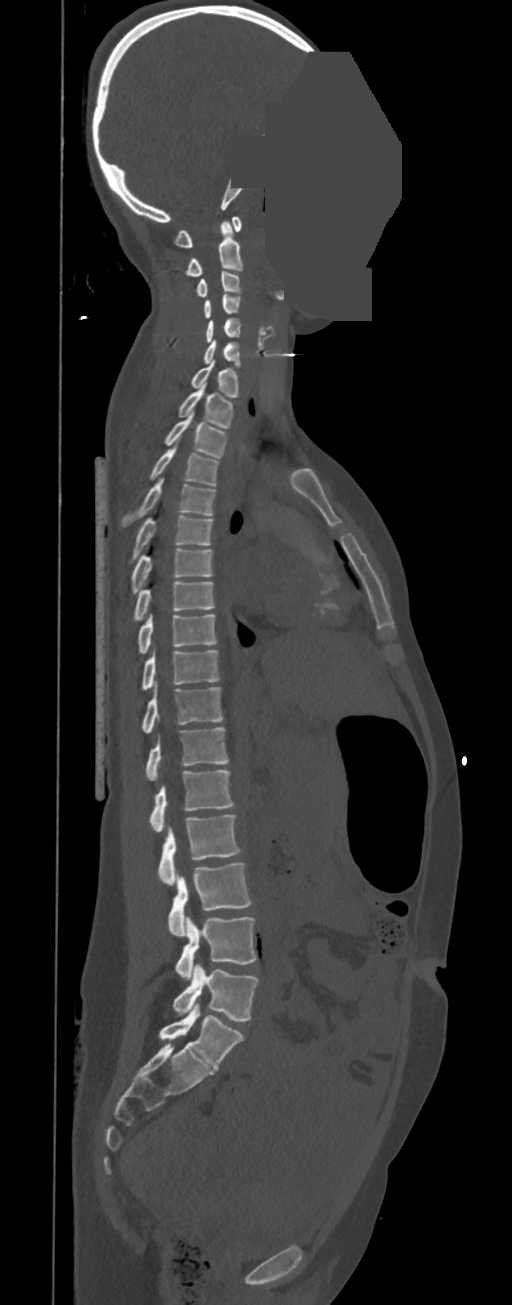 CT · sagittal view · Bone window (WL 400, WW 1800) · 512x1305 px · an area of the scan was removed and filled with constant pixels. Bounding boxes as [x1, y1, x2, y2] in pixel coordinates.
In these labels the spine has no T12: the thoracic vertebrae end at T11, and L1 comes next.
C1: [174, 216, 242, 247]
C2: [186, 221, 242, 275]
C3: [196, 270, 240, 297]
C4: [203, 294, 240, 318]
C5: [206, 319, 241, 343]
C6: [203, 340, 240, 366]
C7: [191, 359, 239, 398]
T1: [178, 383, 233, 428]
T2: [164, 412, 227, 458]
T3: [149, 437, 218, 486]
T4: [121, 478, 215, 527]
T5: [128, 515, 212, 562]
T6: [131, 548, 212, 594]
T7: [133, 581, 214, 620]
T8: [137, 615, 217, 653]
T9: [142, 649, 220, 689]
T10: [142, 685, 223, 734]
T11: [145, 727, 228, 780]
L1: [149, 769, 234, 831]
L2: [158, 815, 240, 885]
L3: [168, 862, 252, 936]
L4: [175, 916, 256, 979]
L5: [172, 964, 258, 1022]